Spine CT. sagittal view
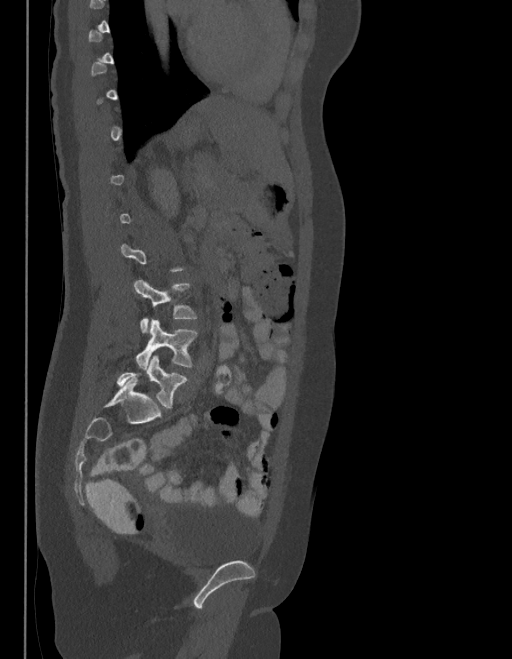 Coordinates as <box>x1,y1,x2,y2</box>.
Not every vertebra on this slice has a box: a vertebra is boxed only from the first to the last slice where its cross-section is at least a third of its largest, and this slice is outside that range for at least one of them.
In these labels the spine has an L6, a sixth lumbar vertebra below L5.
L4: <box>133,279,197,333</box>
L5: <box>136,319,197,369</box>
L6: <box>117,356,187,408</box>